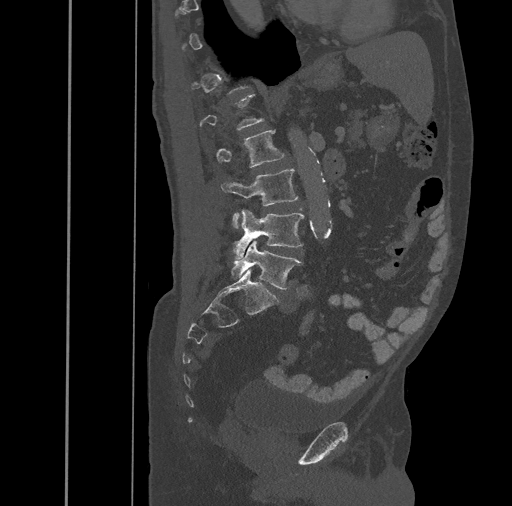
Computed tomography of the spine; sagittal reformat

A vertebra gets a box only on the slices from the first to the last where its cross-section is at least a third of its largest; on a slice outside that range it gets none.
<vertebrae><v name="L2" x1="216" y1="129" x2="284" y2="167"/><v name="L3" x1="222" y1="168" x2="297" y2="228"/><v name="L4" x1="233" y1="209" x2="304" y2="260"/><v name="L5" x1="231" y1="239" x2="302" y2="288"/></vertebrae>